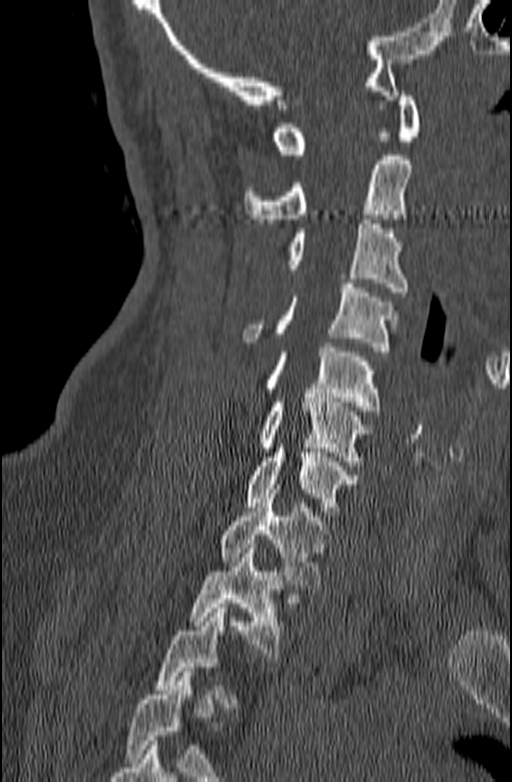 Spine CT · sagittal view. Coordinates as <box>x1,y1,x2,y2</box>. A vertebra gets a box only on the slices from the first to the last where its cross-section is at least a third of its largest; on a slice outside that range it gets none. The labeled vertebrae in this slice are: C1 at <box>273,87,421,154</box>, C2 at <box>244,155,412,223</box>, C3 at <box>285,219,408,296</box>, C4 at <box>242,283,398,351</box>, C5 at <box>265,343,380,410</box>, C6 at <box>259,393,373,465</box>, C7 at <box>246,443,359,516</box>, T1 at <box>217,489,330,589</box>, T2 at <box>188,544,282,657</box>.